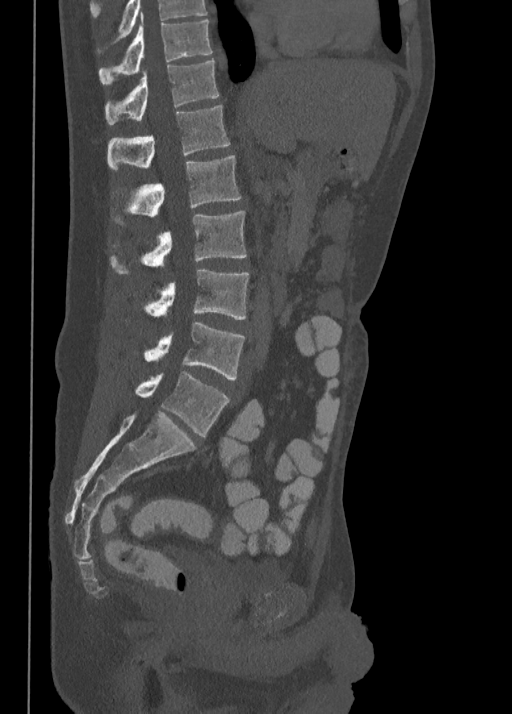 Spine computed tomography. sagittal reformat. bone window. 512x714 px
Boxes: x1:y1:x2:y2 in pixels.
Vertebra bounding boxes:
- T10: 98:13:212:85
- T11: 105:59:218:124
- T12: 107:105:230:170
- L1: 128:155:240:216
- L2: 111:211:246:274
- L3: 146:269:249:319
- L4: 145:321:245:379
- L5: 136:371:230:436